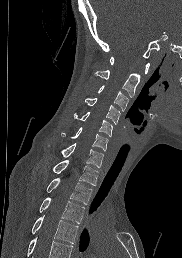 CT, spine. sagittal reformat
Each box given as x1,y1,x2,y2.
Vertebrae that run past the bottom of the scan are left unlabeled.
| vertebra | x1 | y1 | x2 | y2 |
|---|---|---|---|---|
| T4 | 31 | 216 | 78 | 243 |
| T3 | 39 | 197 | 84 | 223 |
| T2 | 46 | 177 | 92 | 204 |
| T1 | 52 | 159 | 98 | 185 |
| C7 | 60 | 143 | 103 | 167 |
| C6 | 62 | 127 | 108 | 150 |
| C5 | 74 | 112 | 112 | 136 |
| C4 | 84 | 98 | 120 | 123 |
| C3 | 97 | 85 | 128 | 110 |
| C2 | 95 | 70 | 140 | 97 |
| C1 | 109 | 57 | 149 | 73 |